Computed tomography of the spine · Sagittal slice 130/250 · 250x571 px
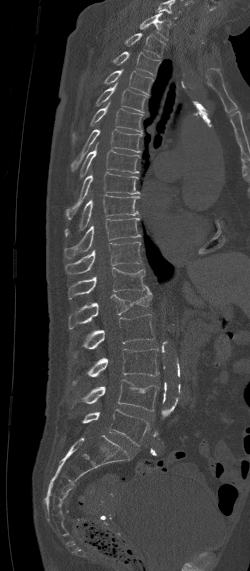 Each row gives a vertebra's box as x1, y1, x2, y2 in pixels: top-left corner, then bottom-right corner.
The highest labeled vertebra in this scan is C7; the lowest is L5.
| vertebra | x1 | y1 | x2 | y2 |
|---|---|---|---|---|
| C7 | 140 | 13 | 170 | 39 |
| T1 | 125 | 33 | 165 | 57 |
| T2 | 113 | 51 | 159 | 74 |
| T3 | 104 | 69 | 152 | 95 |
| T4 | 94 | 83 | 148 | 112 |
| T5 | 71 | 102 | 143 | 145 |
| T6 | 70 | 129 | 143 | 172 |
| T7 | 79 | 142 | 140 | 178 |
| T8 | 65 | 172 | 140 | 218 |
| T9 | 65 | 195 | 139 | 236 |
| T10 | 64 | 218 | 141 | 258 |
| T11 | 65 | 242 | 141 | 274 |
| T12 | 68 | 267 | 146 | 299 |
| L1 | 66 | 286 | 152 | 331 |
| L2 | 73 | 314 | 155 | 357 |
| L3 | 73 | 348 | 158 | 384 |
| L4 | 81 | 379 | 159 | 411 |
| L5 | 81 | 409 | 150 | 445 |